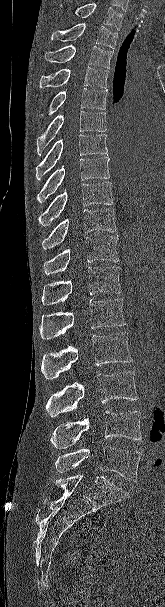
CT, spine — sagittal view
Boxes below are [x1, y1, x2, y2] in pixels.
No box is given to a vertebra that the top edge of the scan cuts off.
{"vertebrae":{"L5":[55,446,141,481],"L4":[50,411,141,448],"L3":[46,371,138,416],"L2":[41,332,133,379],"L1":[39,299,126,339],"T12":[41,266,121,305],"T11":[43,236,119,274],"T10":[42,208,117,249],"T9":[38,181,113,226],"T8":[37,156,109,202],"T7":[36,134,107,180],"T6":[36,110,106,155],"T5":[40,88,107,116],"T4":[39,66,109,88],"T3":[45,45,113,68],"T2":[51,23,117,48]}}